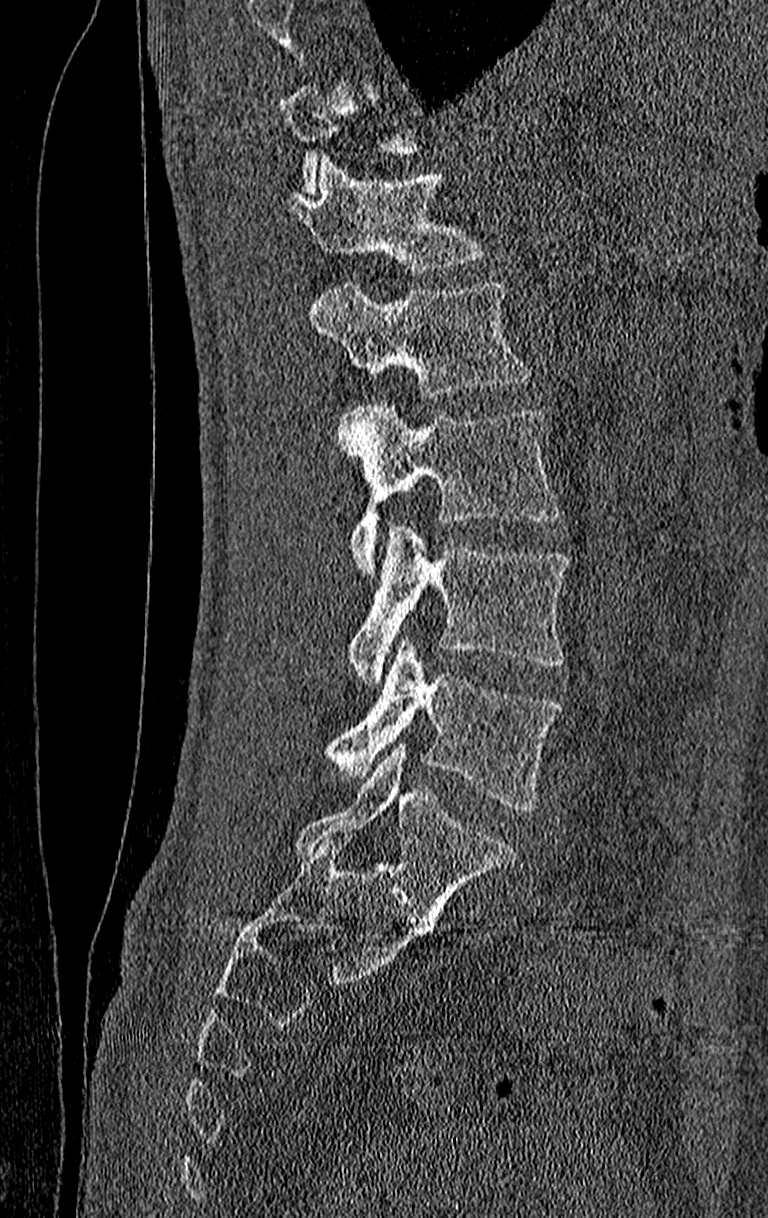 CT spine; sagittal view; bone window

A vertebra is boxed only from the first to the last slice where its cross-section is at least a third of its largest; slices outside that range leave it without a box.
Labels in this scan begin with T11 at the top and end with L4 at the bottom.
<vertebrae><v name="L4" x1="324" y1="637" x2="561" y2="812"/><v name="L3" x1="346" y1="523" x2="568" y2="684"/><v name="L2" x1="342" y1="403" x2="561" y2="573"/><v name="L1" x1="310" y1="278" x2="532" y2="399"/><v name="T12" x1="284" y1="156" x2="491" y2="274"/></vertebrae>